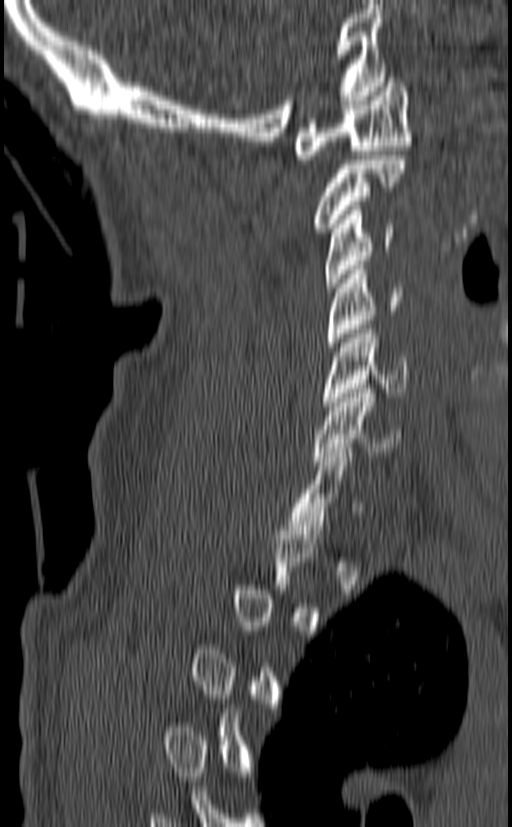
CT — sagittal reformat — 512x827 px — 140 mm across the image

Boxes: x1 y1 x2 y2 (pixel coords, space-separated).
A vertebra gets a box only on the slices from the first to the last where its cross-section is at least a third of its largest; on a slice outside that range it gets none.
C1: 294 78 412 159
C2: 312 155 406 232
C3: 325 206 394 292
C4: 327 265 403 351
C5: 321 325 410 406
C6: 313 384 401 465
C7: 288 448 362 534